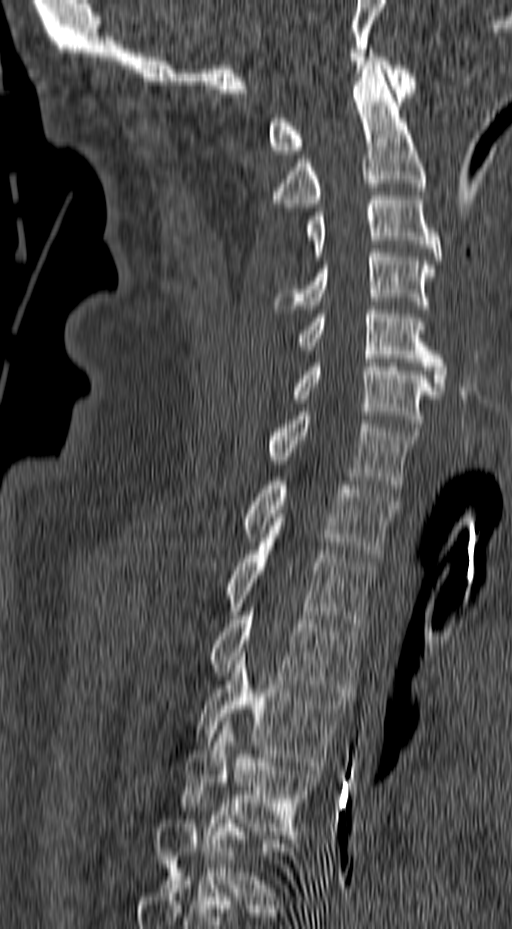

Spine computed tomography — sagittal view — 512x929 px
<vertebrae><v name="C1" x1="268" y1="53" x2="416" y2="154"/><v name="C2" x1="269" y1="65" x2="427" y2="207"/><v name="C3" x1="304" y1="196" x2="441" y2="260"/><v name="C4" x1="273" y1="249" x2="435" y2="309"/><v name="C5" x1="298" y1="306" x2="447" y2="390"/><v name="C6" x1="290" y1="359" x2="441" y2="431"/><v name="C7" x1="265" y1="412" x2="418" y2="488"/><v name="T1" x1="242" y1="481" x2="398" y2="557"/><v name="T2" x1="226" y1="542" x2="375" y2="627"/><v name="T3" x1="210" y1="607" x2="362" y2="696"/><v name="T4" x1="196" y1="652" x2="349" y2="769"/><v name="T5" x1="180" y1="717" x2="320" y2="835"/><v name="T6" x1="157" y1="799" x2="294" y2="900"/></vertebrae>